CT — sagittal plane, index 48 — W/L 1800/400 HU — 146x164 px — scan covers 8 annotated vertebrae
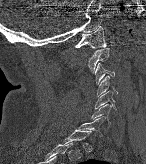 In the table, x1 and y1 are a box's top-left corner and x2 and y2 its bottom-right corner, in pixels.
A vertebra is boxed only from the first to the last slice where its cross-section is at least a third of its largest; slices outside that range leave it without a box.
| vertebra | x1 | y1 | x2 | y2 |
|---|---|---|---|---|
| C1 | 75 | 26 | 107 | 49 |
| C2 | 87 | 48 | 109 | 73 |
| C3 | 95 | 63 | 114 | 83 |
| C4 | 97 | 76 | 117 | 96 |
| C5 | 95 | 91 | 116 | 109 |
| C6 | 91 | 104 | 112 | 123 |
| C7 | 79 | 117 | 102 | 136 |